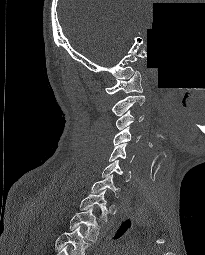

Spine CT · sagittal view · bone-window reconstruction · part of the image is constant black where the scan was masked
Boxes: x1:y1:x2:y2 in pixels.
In this scan, the topmost labeled vertebra is C1 and the lowest is T2.
C1: 105:71:142:94
C2: 111:95:145:116
C3: 115:110:143:130
C4: 113:126:140:145
C5: 109:143:134:162
C6: 102:159:130:181
C7: 91:174:120:197
T1: 79:189:108:221
T2: 70:207:99:241